CT, spine. 180 mm wide. sagittal plane, index 353
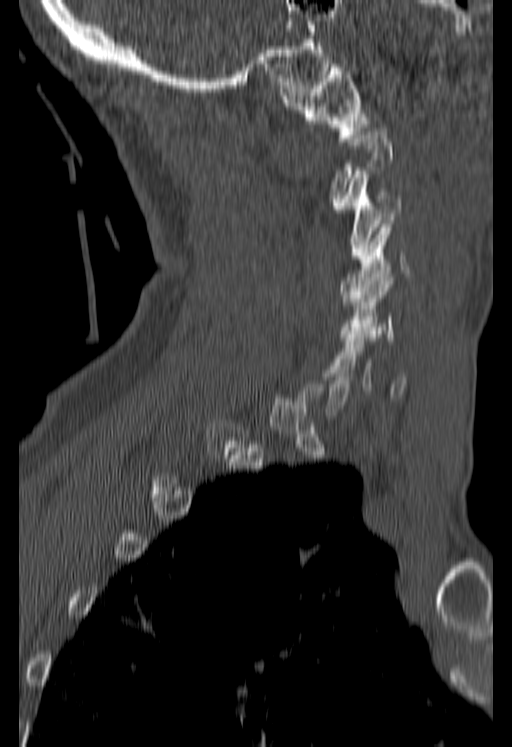 Boxes are (x1, y1, x2, y2) in pixels. Not every vertebra on this slice has a box: a vertebra is boxed only from the first to the last slice where its cross-section is at least a third of its largest, and this slice is outside that range for at least one of them. 5 vertebrae labeled — C1 at (281, 60, 369, 141); C3 at (334, 171, 401, 259); C4 at (339, 220, 410, 301); C5 at (339, 274, 394, 340); C6 at (329, 331, 407, 397).